Spine CT; Sagittal slice 92/182; 182x258 px
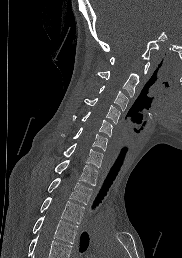

Each vertebra maps to its box as [x1, y1, x2, y2], the pixel coordinates of its top-left and bottom-right corners.
Vertebrae that run past the bottom of the scan are left unlabeled.
{"vertebrae":{"C1":[110,57,149,74],"C2":[96,71,139,97],"C3":[98,85,128,110],"C4":[84,98,120,123],"C5":[73,111,112,136],"C6":[61,127,107,150],"C7":[63,143,103,167],"T1":[54,159,98,185],"T2":[48,177,92,204],"T3":[40,197,84,223],"T4":[32,216,77,243]}}